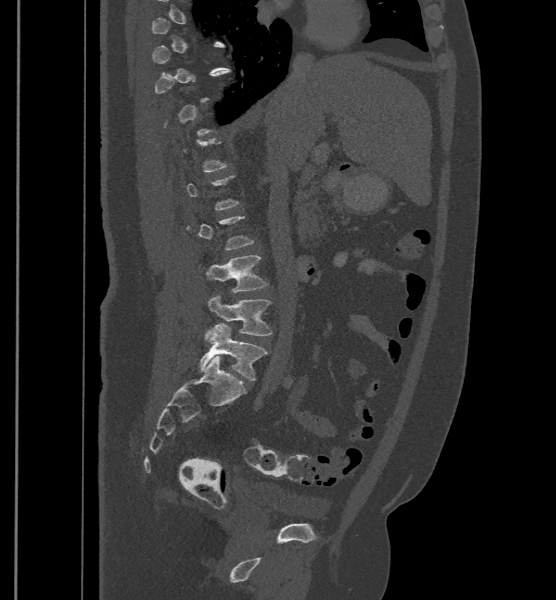

Computed tomography of the spine. sagittal view

Each vertebra is boxed only on the slices from the first to the last where its cross-section reaches a third of its largest, so a slice outside that range leaves it unboxed.
In these labels the spine has an L6, a sixth lumbar vertebra below L5.
<vertebrae><v name="L4" x1="205" y1="256" x2="268" y2="292"/><v name="L5" x1="204" y1="294" x2="272" y2="340"/><v name="L6" x1="200" y1="323" x2="268" y2="380"/></vertebrae>